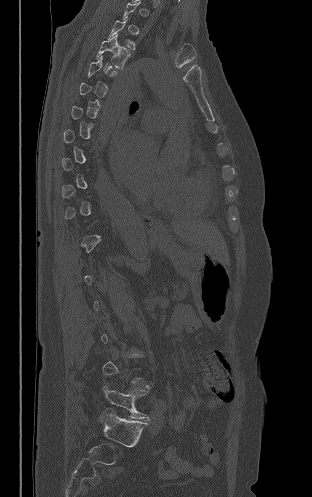

CT spine. image 312 mm wide. sagittal reformat
Each box is [x1, y1, x2, y2] in pixels: top-left corner, then bottom-right corner.
A vertebra is boxed only from the first to the last slice where its cross-section is at least a third of its largest; slices outside that range leave it without a box.
{"vertebrae":{"L5":[103,385,148,420],"T4":[96,34,130,68]}}